Computed tomography of the spine — sagittal view — 833x1119 px
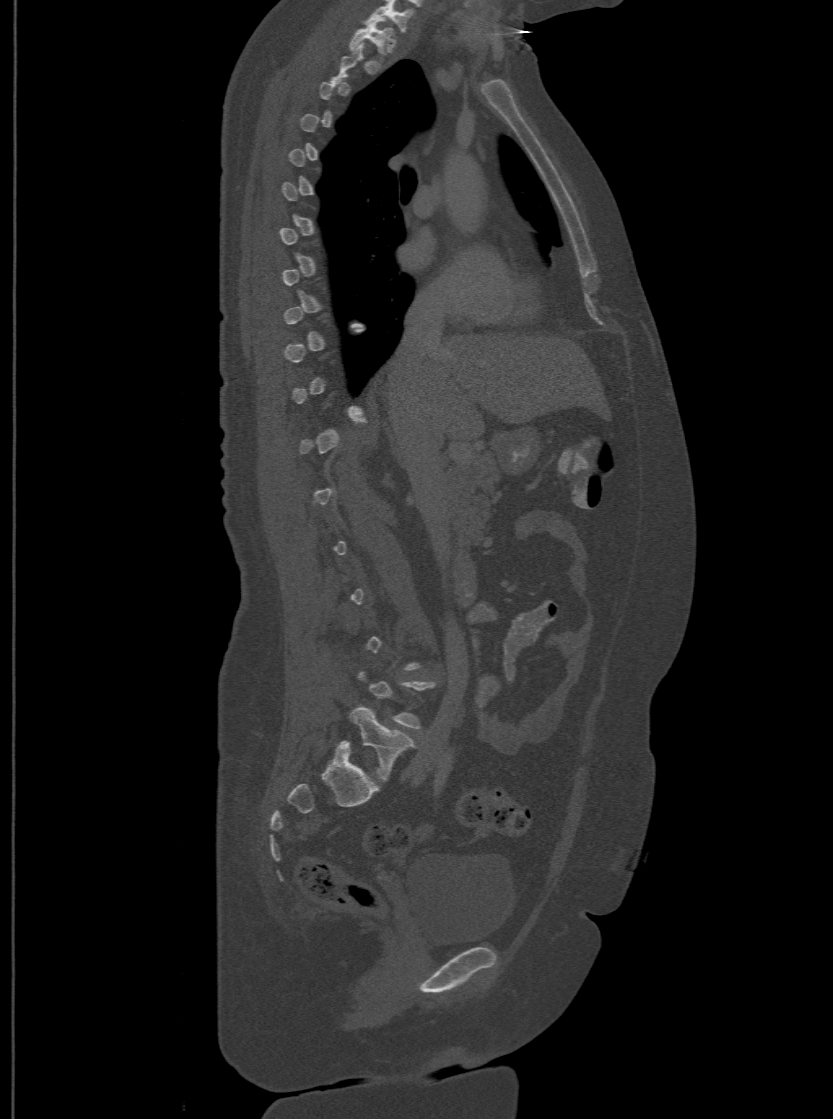 Boxes below are [x1, y1, x2, y2] in pixels.
Each vertebra is boxed only on the slices from the first to the last where its cross-section reaches a third of its largest, so a slice outside that range leaves it unboxed.
The highest labeled vertebra in this scan is T1; the lowest is L6.
The labels name a sixth lumbar vertebra for this spine: L6, after L5.
{"vertebrae":{"T1":[350,18,391,54],"L6":[340,706,414,780]}}